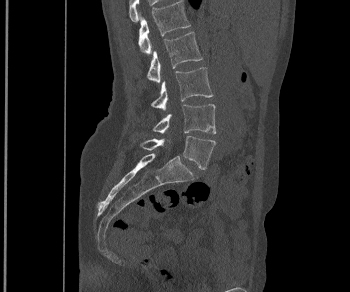
CT, spine; sagittal view; 350 mm wide
Boxes: x1:y1:x2:y2 in pixels.
L1: 138:0:190:54
L2: 147:32:202:83
L3: 151:67:212:110
L4: 152:104:216:133
L5: 141:136:215:169